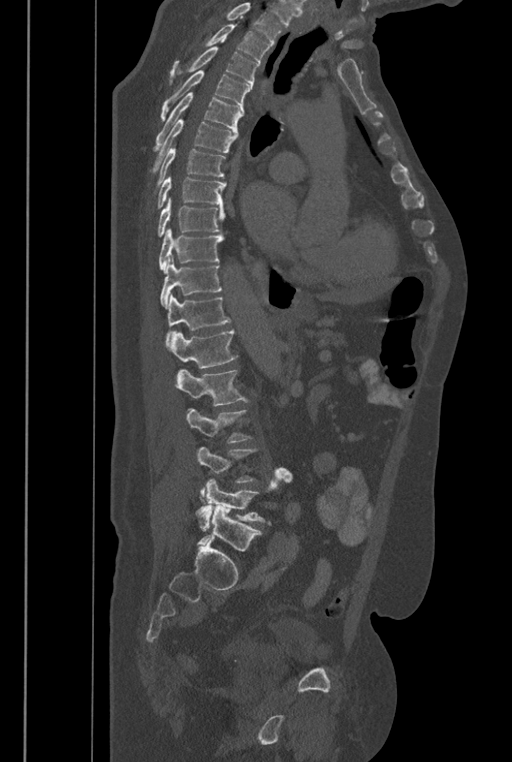
CT spine · sagittal view
Boxes: x1:y1:x2:y2 in pixels.
A vertebra gets a box only on the slices from the first to the last where its cross-section is at least a third of its largest; on a slice outside that range it gets none.
A vertebra cut off by the top edge of the scan is not labeled and has no box.
The labels name a sixth lumbar vertebra for this spine: L6, after L5.
T2: 204:25:269:63
T3: 169:46:258:88
T4: 161:70:250:120
T5: 153:92:244:151
T6: 151:119:237:173
T7: 152:144:225:194
T8: 157:176:226:208
T9: 157:197:225:237
T10: 158:228:223:273
T11: 159:254:222:308
T12: 165:294:231:346
L1: 168:330:237:368
L2: 175:369:247:406
L3: 186:409:250:442
L5: 195:468:291:530
L6: 196:505:261:551